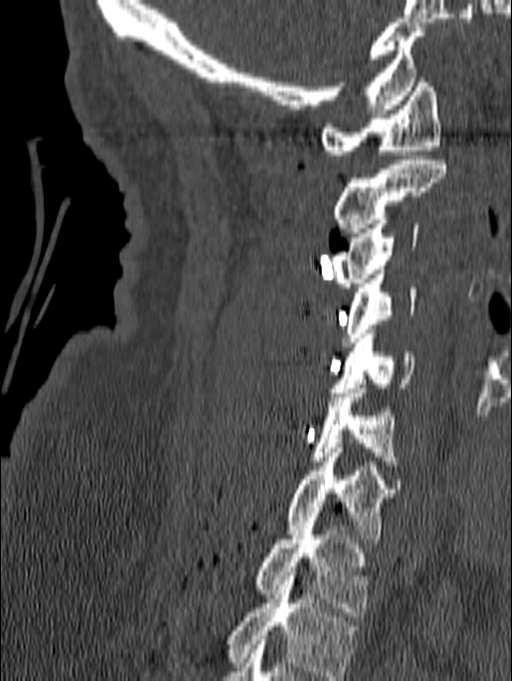
Spine computed tomography — image 140 mm wide — sagittal reformat — W/L 1800/400 HU

Bounding boxes as [x1, y1, x2, y2] in pixel coordinates.
The highest labeled vertebra in this scan is C1; the lowest is T1.
Vertebra bounding boxes:
- C1: [320, 78, 441, 159]
- C2: [332, 160, 446, 237]
- C3: [330, 219, 419, 287]
- C4: [343, 270, 416, 346]
- C5: [330, 329, 414, 397]
- C6: [310, 384, 399, 465]
- C7: [284, 448, 395, 543]
- T1: [254, 517, 368, 616]